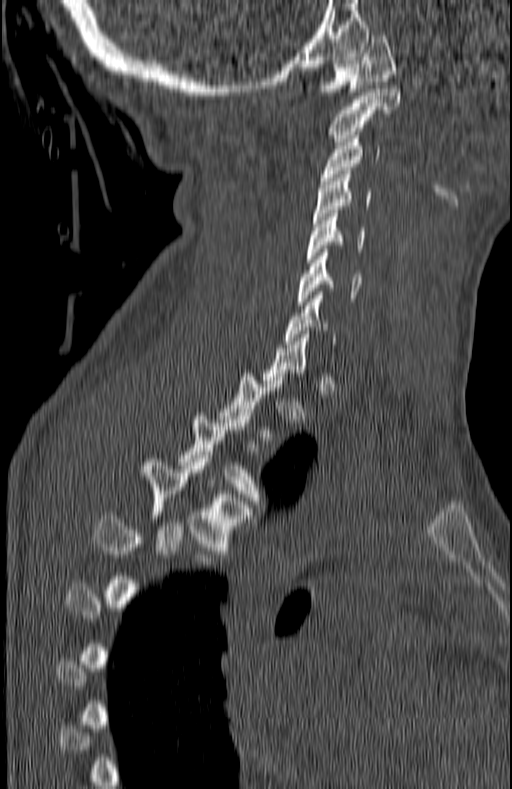 CT. sagittal view. 512x789 px. 180 mm image width
Boxes are (x1, y1, x2, y2) in pixels.
Not every vertebra on this slice has a box: a vertebra is boxed only from the first to the last slice where its cross-section is at least a third of its largest, and this slice is outside that range for at least one of them.
C1: (315, 32, 395, 95)
C2: (328, 89, 401, 145)
C3: (321, 132, 380, 184)
C4: (314, 171, 370, 219)
C5: (306, 210, 364, 262)
C6: (297, 249, 361, 305)
C7: (283, 295, 336, 344)
T3: (177, 412, 264, 507)
T4: (146, 459, 256, 554)
T5: (95, 512, 216, 568)